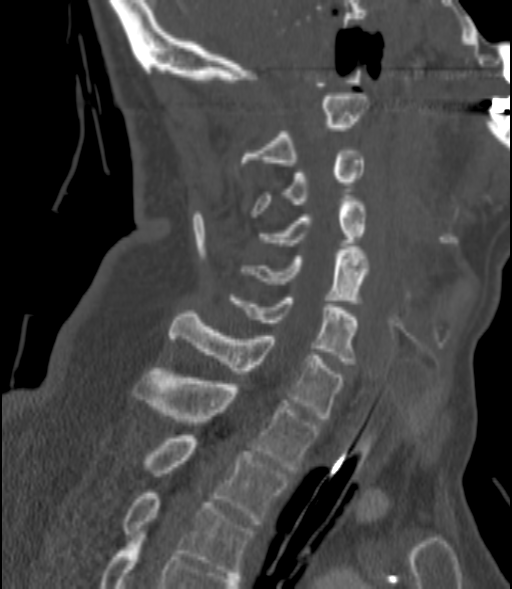
Spine CT. sagittal view. bone window. 512x589 px
Box edges are left/top/right/bottom in pixels.
C2: left=241, top=96, right=368, bottom=165
C3: left=251, top=147, right=363, bottom=217
C4: left=259, top=198, right=366, bottom=245
C5: left=241, top=250, right=368, bottom=303
C6: left=231, top=298, right=358, bottom=364
C7: left=170, top=310, right=343, bottom=421
T1: left=134, top=371, right=317, bottom=473
T2: left=144, top=435, right=289, bottom=524
T3: left=124, top=493, right=253, bottom=575